Spine CT — sagittal plane, index 242 — image width 392 mm — 512x642 px
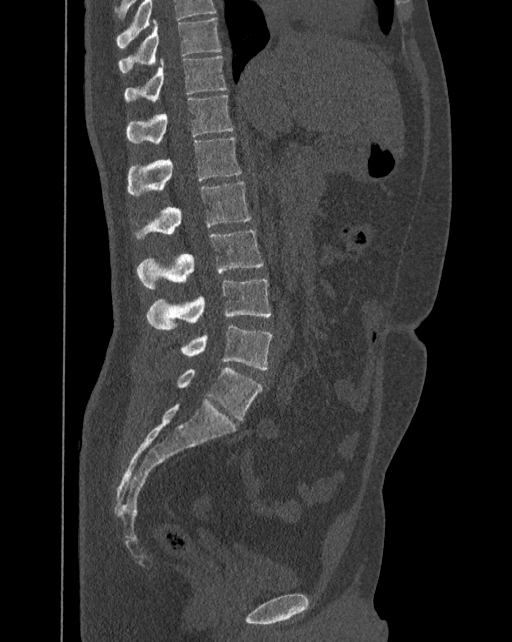 Coordinates as <box>x1,y1,x2,y2</box>.
Labels in this scan begin with T10 at the top and end with L6 at the bottom.
In these labels the spine has an L6, a sixth lumbar vertebra below L5.
Vertebra bounding boxes:
- T10: <box>119,18,221,73</box>
- T11: <box>124,55,226,101</box>
- T12: <box>127,94,233,144</box>
- L1: <box>127,138,242,195</box>
- L2: <box>134,181,251,239</box>
- L3: <box>137,229,263,289</box>
- L4: <box>146,279,271,328</box>
- L5: <box>181,324,272,369</box>
- L6: <box>177,368,261,420</box>